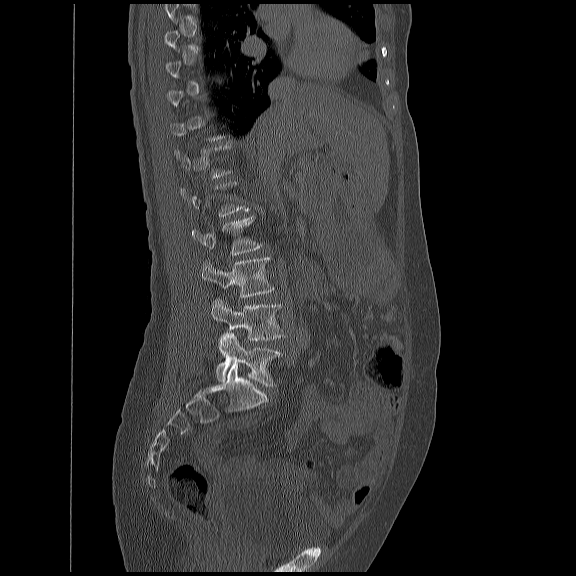 Computed tomography of the spine. 450 mm wide. sagittal reformat
Each box given as x1,y1,x2,y2.
Each vertebra is boxed only on the slices from the first to the last where its cross-section reaches a third of its largest, so a slice outside that range leaves it unboxed.
L5: x1=215, y1=333, x2=280, y2=386
L4: x1=211, y1=299, x2=284, y2=340
L3: x1=200, y1=255, x2=274, y2=298
L2: x1=190, y1=215, x2=261, y2=254